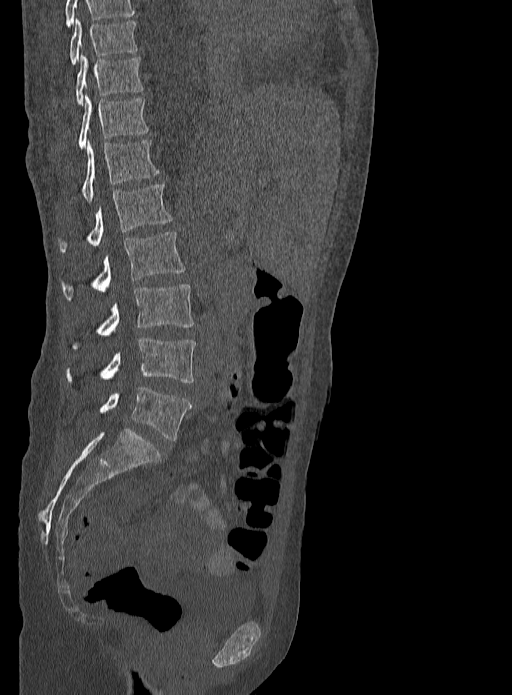 CT. sagittal reformat. 512x695 px
Each vertebra maps to its box as [x1, y1, x2, y2], the pixel coordinates of its top-left and bottom-right corners.
Labels in this scan begin with T9 at the top and end with L5 at the bottom.
{"vertebrae":{"L5":[98,386,191,440],"L4":[66,337,196,383],"L3":[70,284,194,350],"L2":[61,232,186,300],"L1":[58,185,172,253],"T12":[81,140,159,202],"T11":[78,95,151,148],"T10":[75,55,145,105],"T9":[69,20,137,65]}}